CT · sagittal view
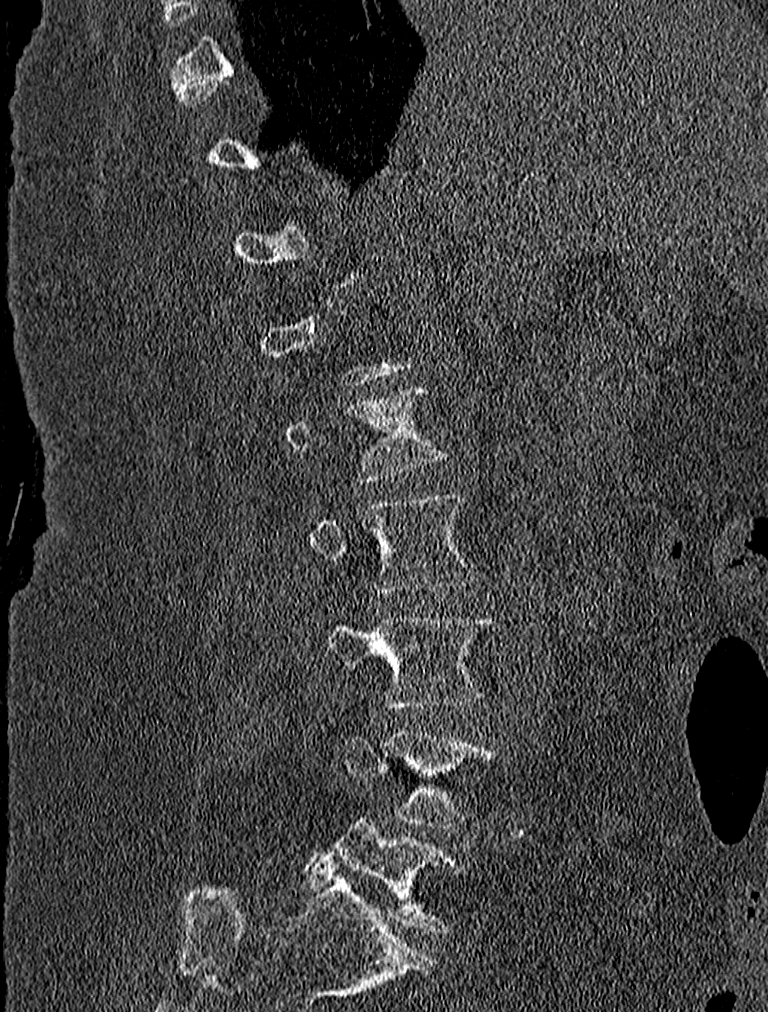 Boxes: x1:y1:x2:y2 in pixels. Not every vertebra on this slice has a box: a vertebra is boxed only from the first to the last slice where its cross-section is at least a third of its largest, and this slice is outside that range for at least one of them. Vertebrae labeled: L2 at 310:495:478:593, L3 at 327:614:492:708, L4 at 341:731:495:826, L5 at 306:818:458:932.